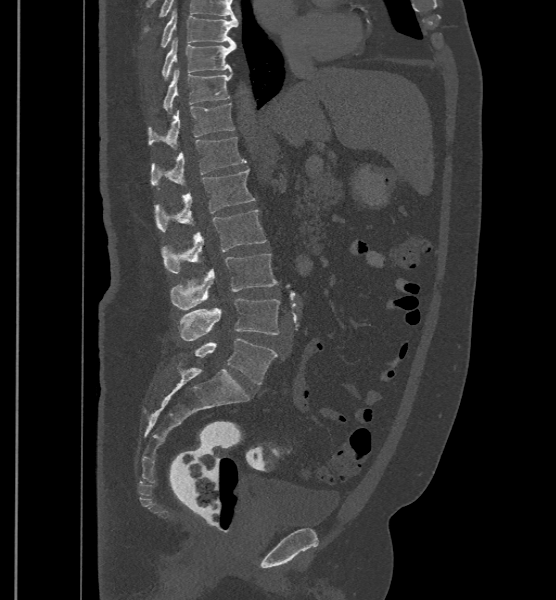 CT, spine; sagittal reformat; 556x600 px
Each box given as x1,y1,x2,y2.
The labels name a sixth lumbar vertebra for this spine: L6, after L5.
Vertebra bounding boxes:
- T9: x1=161, y1=9, x2=238, y2=47
- T10: x1=162, y1=37, x2=236, y2=79
- T11: x1=164, y1=68, x2=232, y2=112
- T12: x1=149, y1=102, x2=234, y2=149
- L1: x1=151, y1=137, x2=245, y2=186
- L2: x1=154, y1=169, x2=255, y2=231
- L3: x1=161, y1=210, x2=266, y2=273
- L4: x1=171, y1=253, x2=277, y2=309
- L5: x1=177, y1=298, x2=280, y2=340
- L6: x1=184, y1=339, x2=277, y2=385